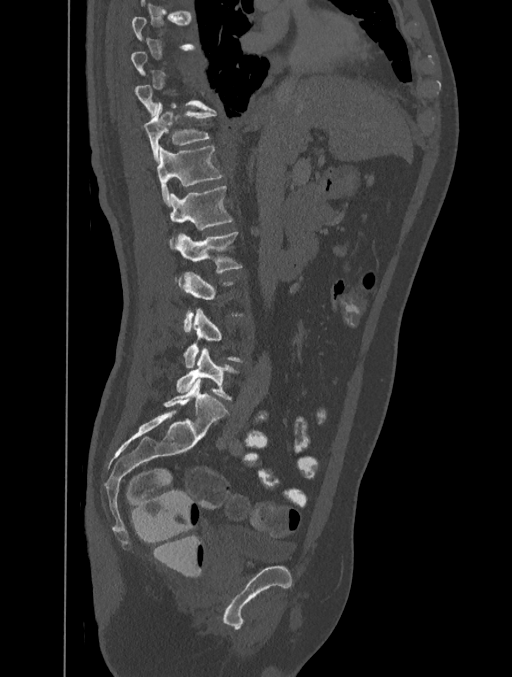

CT · sagittal view · bone window. Boxes: x1 y1 x2 y2 (pixel coords, space-separated). A vertebra is boxed only from the first to the last slice where its cross-section is at least a third of its largest; slices outside that range leave it without a box. The labeled vertebrae in this slice are: T11 at 143 103 216 162, T12 at 157 146 222 206, L1 at 170 185 233 248, L2 at 177 231 241 286, L4 at 184 308 241 367, L5 at 176 347 238 400.